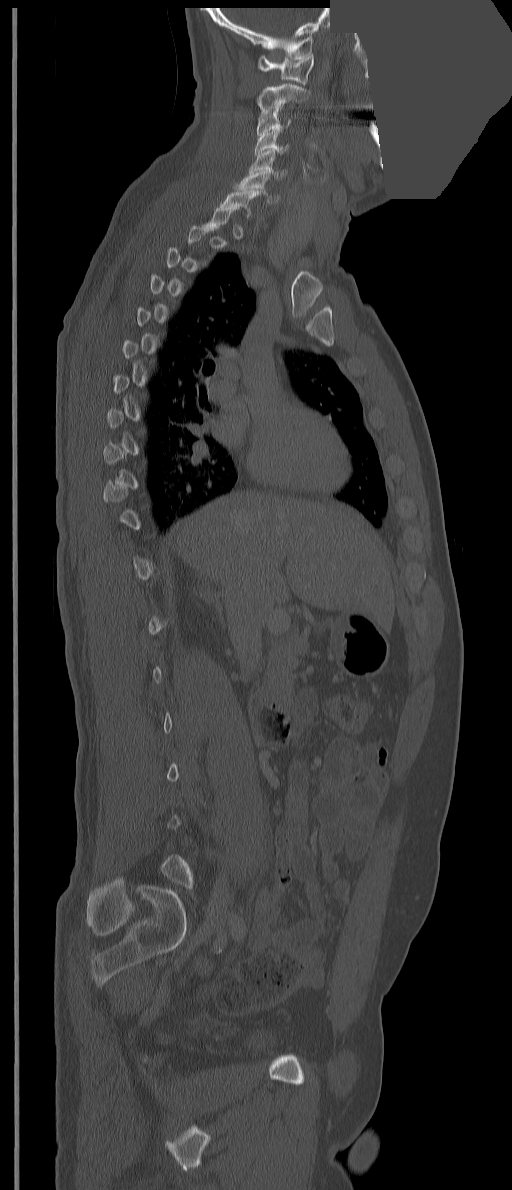
CT spine. sagittal reformat. part of the image is a flat gray fill, not anatomy
Each vertebra maps to its box as [x1, y1, x2, y2], the pixel coordinates of its top-left and bottom-right corners.
A vertebra is boxed only from the first to the last slice where its cross-section is at least a third of its largest; slices outside that range leave it without a box.
{"vertebrae":{"C7":[220,190,261,218],"C6":[234,169,280,202],"C5":[249,150,286,178],"C4":[255,128,288,154],"C3":[257,109,290,135],"C2":[257,83,309,114],"C1":[258,54,313,86]}}